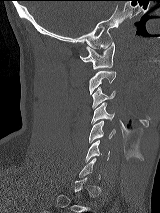

CT spine — sagittal view
A vertebra gets a box only on the slices from the first to the last where its cross-section is at least a third of its largest; on a slice outside that range it gets none.
<vertebrae><v name="C1" x1="80" y1="42" x2="114" y2="69"/><v name="C2" x1="89" y1="70" x2="116" y2="94"/><v name="C3" x1="92" y1="87" x2="115" y2="108"/><v name="C4" x1="91" y1="103" x2="114" y2="123"/><v name="C5" x1="89" y1="121" x2="115" y2="142"/><v name="C6" x1="85" y1="140" x2="109" y2="161"/></vertebrae>